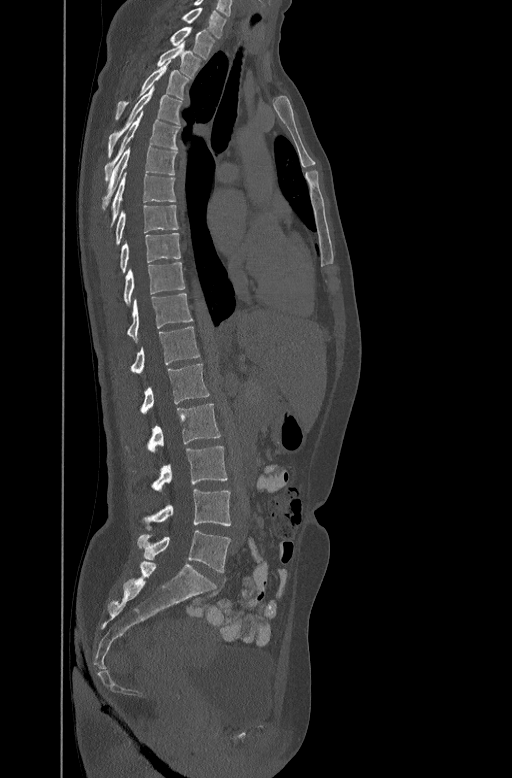

CT. sagittal view
Box values are [left, top, right, bottom] in pixels.
{"vertebrae":{"C7":[182,6,227,36],"T1":[171,25,214,58],"T2":[157,42,201,76],"T3":[116,60,189,118],"T4":[108,87,182,156],"T5":[105,110,180,180],"T6":[103,145,176,207],"T7":[110,172,175,224],"T8":[114,203,178,243],"T9":[119,232,180,272],"T10":[124,261,184,303],"T11":[127,292,193,341],"T12":[131,325,199,372],"L1":[140,363,210,413],"L2":[148,404,221,451],"L3":[151,446,227,491],"L4":[143,489,230,530],"L5":[137,530,230,572]}}